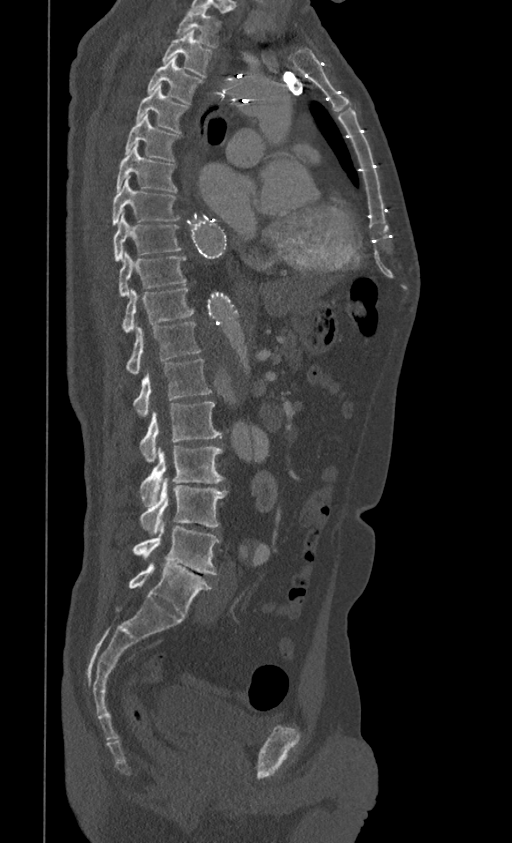

CT — sagittal reformat

Boxes: x1 y1 x2 y2 (pixel coords, space-separated).
T1: 176 10 221 48
T2: 161 31 213 78
T3: 147 59 203 104
T4: 136 83 189 133
T5: 124 114 180 161
T6: 115 146 177 192
T7: 111 177 180 225
T8: 113 212 181 261
T9: 118 252 186 296
T10: 122 288 194 333
T11: 126 322 200 373
T12: 132 359 211 416
L1: 140 402 222 461
L2: 140 446 223 506
L3: 140 477 227 534
L4: 132 520 220 574
L5: 128 564 212 618